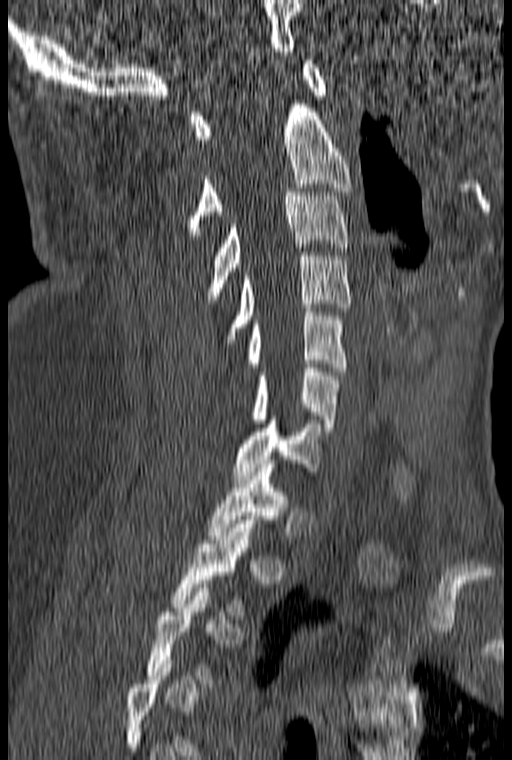
CT, spine · sagittal view · 160 mm wide
Bounding boxes as [x1, y1, x2, y2] in pixel coordinates.
Not every vertebra on this slice has a box: a vertebra is boxed only from the first to the last slice where its cross-section is at least a third of its largest, and this slice is outside that range for at least one of them.
C1: [190, 60, 327, 143]
C2: [181, 104, 352, 235]
C3: [206, 188, 349, 299]
C4: [221, 252, 351, 347]
C5: [245, 308, 346, 371]
C6: [252, 364, 339, 431]
C7: [233, 416, 322, 479]
T1: [207, 464, 289, 539]
T2: [171, 520, 256, 615]